CT — sagittal view — 445x579 px — 9 vertebrae labeled in this scan
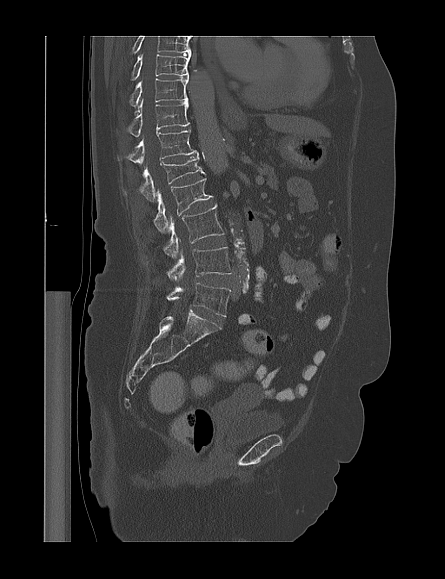
Each box given as x1,y1,x2,y2.
The highest labeled vertebra in this scan is T9; the lowest is L5.
Vertebra bounding boxes:
- L5: x1=166, y1=283, x2=230, y2=316
- L4: x1=166, y1=247, x2=231, y2=281
- L3: x1=163, y1=205, x2=224, y2=258
- L2: x1=153, y1=178, x2=212, y2=233
- L1: x1=124, y1=153, x2=205, y2=202
- T12: x1=117, y1=131, x2=197, y2=164
- T11: x1=127, y1=99, x2=189, y2=136
- T10: x1=129, y1=75, x2=188, y2=106
- T9: x1=131, y1=54, x2=189, y2=80